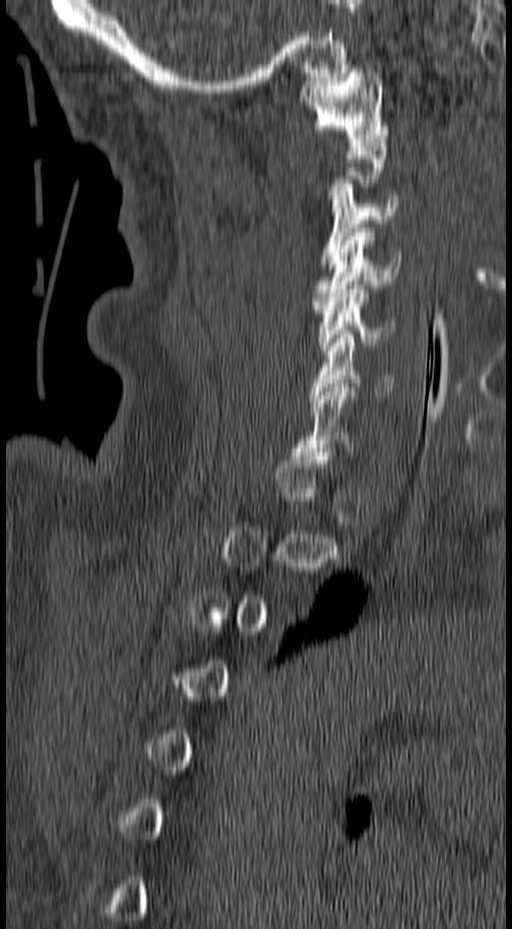 CT, spine — sagittal view — bone window — image 157 mm wide
Boxes below are [x1, y1, x2, y2] in pixels.
Each vertebra is boxed only on the slices from the first to the last where its cross-section reaches a third of its largest, so a slice outside that range leaves it unboxed.
{"vertebrae":{"C1":[297,69,389,142],"C3":[319,183,398,264],"C4":[311,228,401,305],"C5":[312,285,396,354],"C6":[309,334,394,398]}}